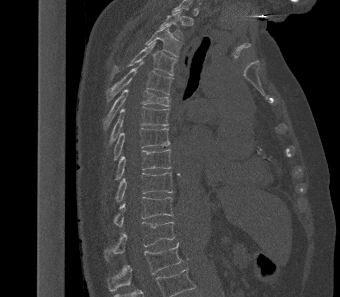

Spine computed tomography. sagittal view. 340 mm across the image. 340x297 px. Boxes: x1 y1 x2 y2 (pixel coords, space-separated).
This scan's labels start at T2 at the top and end at L1 at the bottom.
L1: 107 242 181 291
T12: 104 222 175 259
T11: 113 197 173 226
T10: 114 172 173 201
T9: 114 149 171 180
T8: 113 128 170 160
T7: 109 106 169 145
T6: 103 89 170 129
T5: 106 62 173 101
T4: 111 42 176 76
T3: 145 25 181 57
T2: 159 12 183 37